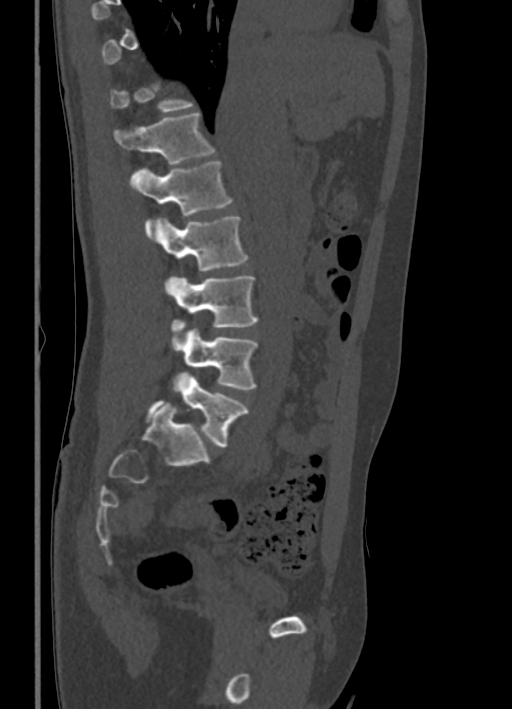

CT spine — sagittal reformat — 512x709 px
Bounding boxes as [x1, y1, x2, y2] in pixel coordinates.
Each vertebra is boxed only on the slices from the first to the last where its cross-section reaches a third of its largest, so a slice outside that range leaves it unboxed.
T12: [114, 112, 214, 164]
L1: [129, 161, 232, 236]
L2: [154, 216, 247, 270]
L3: [165, 276, 258, 332]
L4: [171, 328, 258, 389]
L5: [144, 372, 247, 447]